CT spine · image width 153 mm · sagittal view · scan covers 11 annotated vertebrae
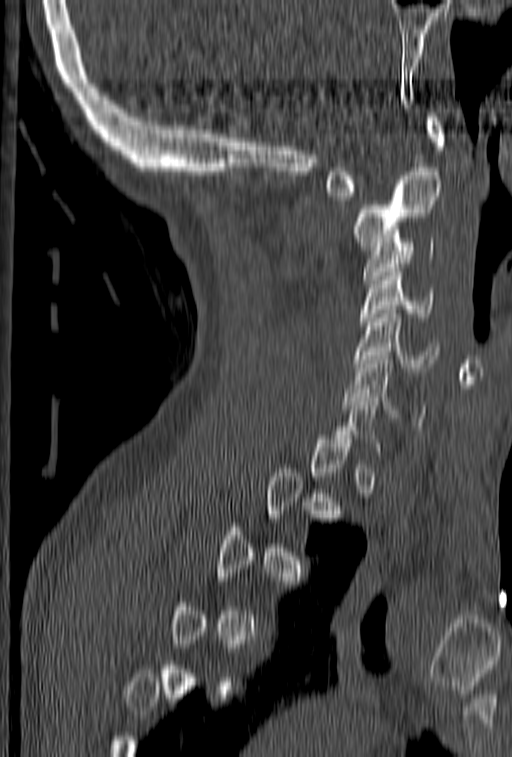

Boxes: x1:y1:x2:y2 in pixels.
Not every vertebra on this slice has a box: a vertebra is boxed only from the first to the last slice where its cross-section is at least a third of its largest, and this slice is outside that range for at least one of them.
Vertebra bounding boxes:
- C1: 324:113:444:196
- C2: 353:172:442:250
- C3: 363:238:435:283
- C4: 359:264:435:329
- C5: 353:305:439:371
- C6: 343:356:424:421